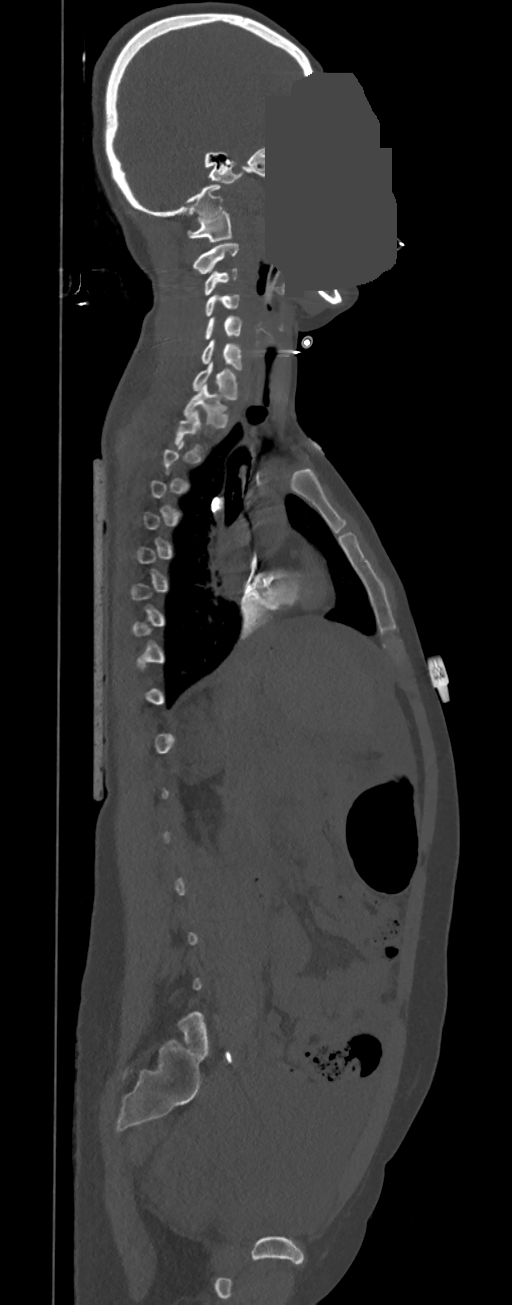
Computed tomography of the spine · sagittal view · image 350 mm wide · bone-window reconstruction · a uniform gray block covers part of the image
In the table, x1 and y1 are a box's top-left corner and x2 and y2 its bottom-right corner, in pixels.
Not every vertebra on this slice has a box: a vertebra is boxed only from the first to the last slice where its cross-section is at least a third of its largest, and this slice is outside that range for at least one of them.
| vertebra | x1 | y1 | x2 | y2 |
|---|---|---|---|---|
| C1 | 187 | 211 | 231 | 241 |
| C2 | 193 | 242 | 239 | 273 |
| C3 | 205 | 267 | 237 | 295 |
| C4 | 205 | 294 | 239 | 316 |
| C5 | 204 | 316 | 242 | 339 |
| C6 | 200 | 340 | 242 | 369 |
| C7 | 193 | 362 | 237 | 399 |
| T1 | 184 | 384 | 227 | 427 |